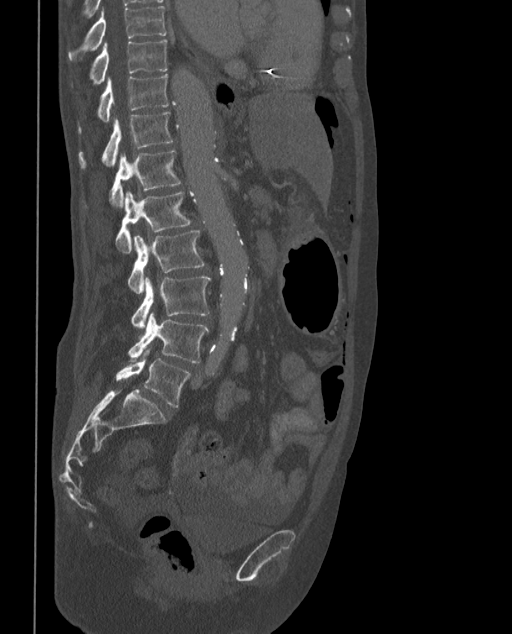
Spine computed tomography — sagittal view — bone window — 512x634 px
Coordinates as <box>x1,y1,x2,y2</box>.
These labels give the spine a sixth lumbar vertebra, L6, below L5.
T9: <box>68,5,170,61</box>
T10: <box>89,40,166,84</box>
T11: <box>78,74,169,132</box>
T12: <box>78,112,173,167</box>
L1: <box>110,151,181,208</box>
L2: <box>115,191,191,253</box>
L3: <box>127,230,205,294</box>
L4: <box>132,275,210,328</box>
L5: <box>127,313,209,362</box>
L6: <box>115,350,190,407</box>